Computed tomography of the spine — Sagittal slice 293/512 — bone window — 512x789 px
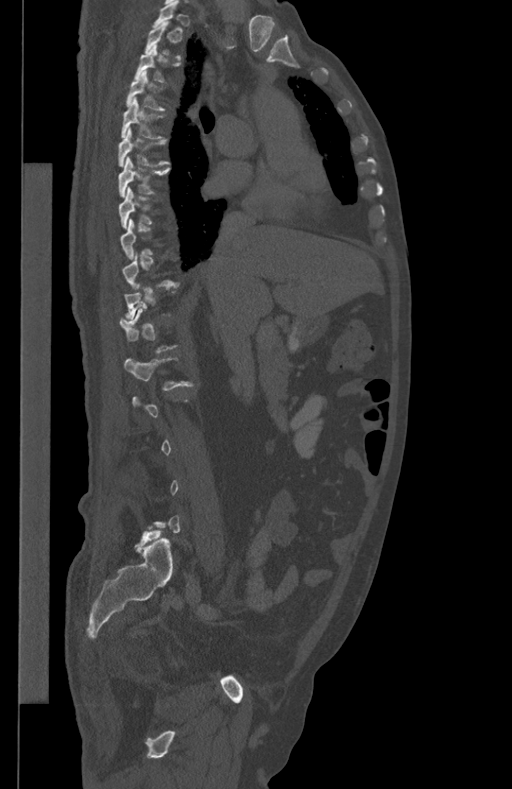 Boxes: x1:y1:x2:y2 in pixels.
A vertebra gets a box only on the slices from the first to the last where its cross-section is at least a third of its largest; on a slice outside that range it gets none.
T3: 134:46:179:83
T4: 126:71:165:109
T5: 121:98:165:139
T6: 118:128:170:166
T7: 118:156:170:196
T8: 119:187:152:227
L1: 124:357:192:391